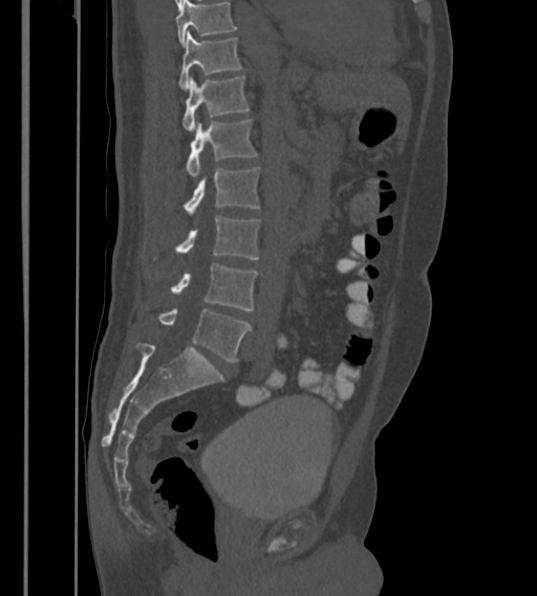

Computed tomography of the spine. sagittal reformat
Boxes: x1:y1:x2:y2 in pixels.
In this scan, the topmost labeled vertebra is T12 and the lowest is L6.
These labels give the spine a sixth lumbar vertebra, L6, below L5.
T12: 178:30:240:89
L1: 182:76:249:131
L2: 186:119:258:178
L3: 185:167:260:216
L4: 177:215:260:259
L5: 172:264:256:310
L6: 158:309:252:361